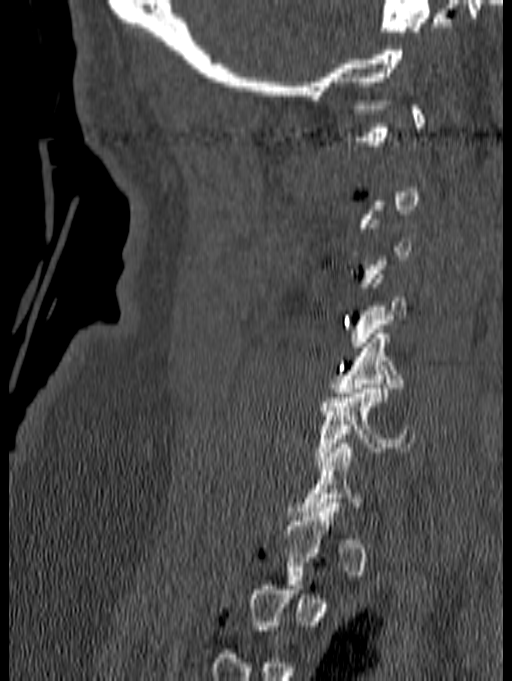

CT spine — sagittal view — 512x681 px
Boxes below are [x1, y1, x2, y2] in pixels.
Not every vertebra on this slice has a box: a vertebra is boxed only from the first to the last slice where its cross-section is at least a third of its largest, and this slice is outside that range for at least one of them.
{"vertebrae":{"C5":[329,329,406,401],"C6":[315,384,415,465]}}